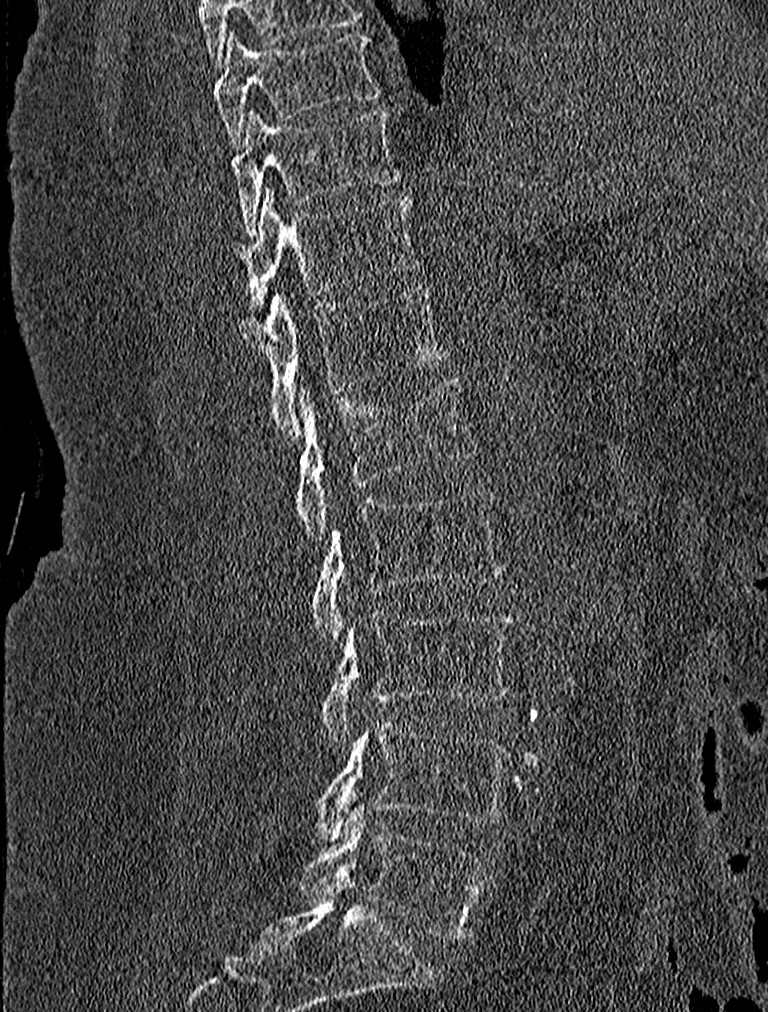
CT, spine · sagittal reformat · W/L 1800/400 HU

Boxes are given in columns x1, y1, x2, y2, the pixel coordinates of their top-left and bottom-right corners.
| vertebra | x1 | y1 | x2 | y2 |
|---|---|---|---|---|
| L5 | 300 | 801 | 488 | 941 |
| L4 | 307 | 719 | 511 | 839 |
| L3 | 320 | 611 | 512 | 745 |
| L2 | 310 | 487 | 505 | 643 |
| L1 | 297 | 379 | 475 | 539 |
| T12 | 252 | 285 | 448 | 441 |
| T11 | 232 | 187 | 414 | 313 |
| T10 | 229 | 108 | 400 | 232 |
| T9 | 212 | 30 | 380 | 148 |